CT, spine · sagittal plane, index 27 · scan covers 19 annotated vertebrae
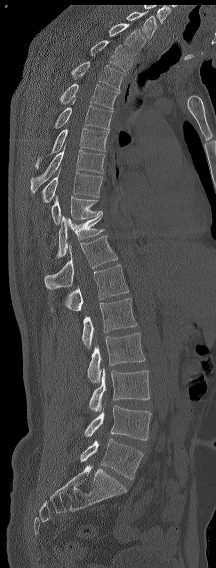

Box edges are left/top/right/bottom in pixels.
The highest labeled vertebra in this scan is C7; the lowest is L6.
In these labels the spine has an L6, a sixth lumbar vertebra below L5.
| vertebra | x1 | y1 | x2 | y2 |
|---|---|---|---|---|
| C7 | 126 | 11 | 156 | 38 |
| T1 | 108 | 23 | 145 | 54 |
| T2 | 90 | 40 | 132 | 71 |
| T3 | 71 | 61 | 124 | 91 |
| T4 | 59 | 83 | 119 | 109 |
| T5 | 54 | 96 | 113 | 130 |
| T6 | 34 | 127 | 109 | 170 |
| T7 | 30 | 146 | 105 | 193 |
| T8 | 41 | 168 | 102 | 202 |
| T9 | 51 | 195 | 101 | 224 |
| T11 | 56 | 212 | 104 | 257 |
| T12 | 44 | 235 | 117 | 289 |
| L1 | 50 | 264 | 128 | 312 |
| L2 | 81 | 298 | 137 | 348 |
| L3 | 87 | 333 | 145 | 383 |
| L4 | 89 | 368 | 150 | 412 |
| L5 | 84 | 405 | 151 | 440 |
| L6 | 80 | 439 | 143 | 479 |